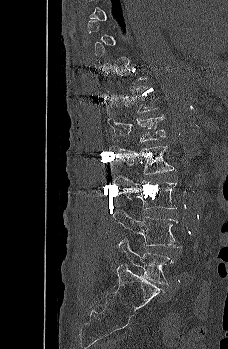 CT spine; sagittal reformat; 228x349 px. Each box given as x1,y1,x2,y2.
A vertebra is boxed only from the first to the last slice where its cross-section is at least a third of its largest; slices outside that range leave it without a box.
Vertebra bounding boxes:
- L5: x1=118, y1=238, x2=174, y2=284
- L4: x1=112, y1=209, x2=182, y2=247
- L3: x1=112, y1=175, x2=177, y2=210
- L2: x1=118, y1=145, x2=175, y2=175
- L1: x1=107, y1=114, x2=165, y2=142